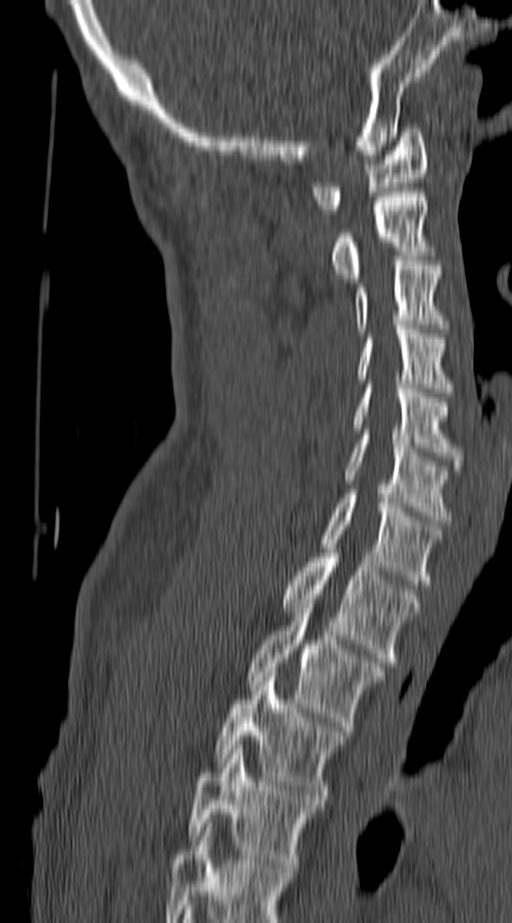 Spine computed tomography — sagittal view — 512x923 px
Boxes: x1:y1:x2:y2 in pixels.
Labels in this scan begin with C1 at the top and end with T4 at the bottom.
C1: 312:128:428:214
C2: 330:192:428:282
C3: 355:261:443:333
C4: 356:329:450:392
C5: 352:384:461:465
C6: 345:434:450:525
C7: 320:494:439:584
T1: 283:549:421:666
T2: 249:603:384:730
T3: 217:672:344:799
T4: 188:745:319:872